CT, spine; 384 mm across the image; sagittal reformat; Bone window (WL 400, WW 1800)
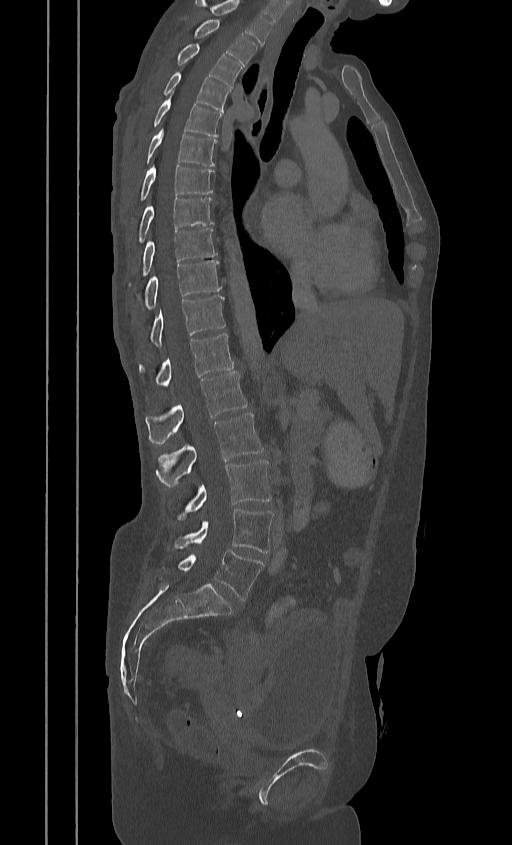 Coordinates as <box>x1,y1,x2,y2</box>.
In this scan, the topmost labeled vertebra is T2 and the lowest is L5.
Vertebra bounding boxes:
- T2: <box>194,20,256,66</box>
- T3: <box>176,44,241,87</box>
- T4: <box>162,72,229,112</box>
- T5: <box>152,97,221,136</box>
- T6: <box>144,128,216,166</box>
- T7: <box>130,165,213,219</box>
- T8: <box>136,197,213,244</box>
- T9: <box>128,228,216,287</box>
- T10: <box>141,260,221,310</box>
- T11: <box>150,296,225,346</box>
- T12: <box>138,333,233,386</box>
- L1: <box>145,372,247,444</box>
- L2: <box>156,413,263,486</box>
- L3: <box>178,460,271,518</box>
- L4: <box>174,508,273,552</box>
- L5: <box>177,551,263,600</box>